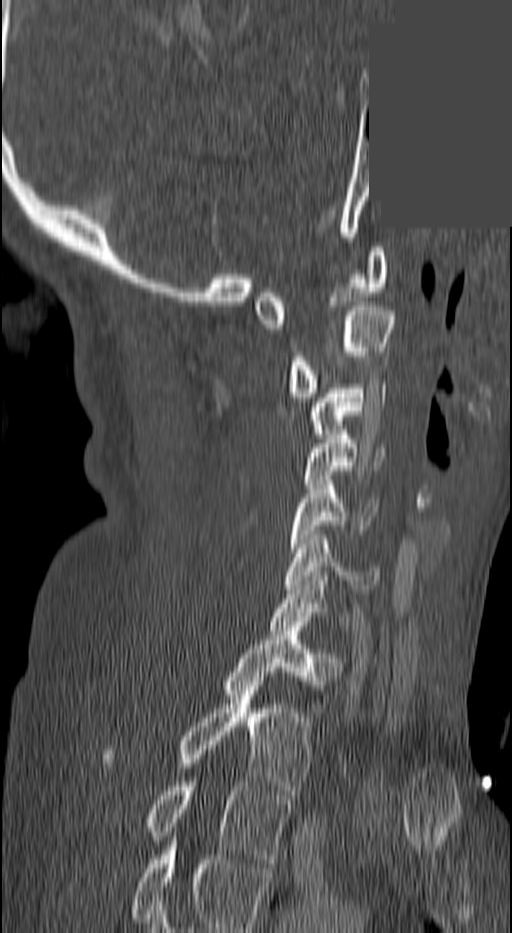
CT — sagittal view — 140 mm image width — 512x933 px — part of the image is a flat gray fill, not anatomy
In the table, x1 and y1 are a box's top-left corner and x2 and y2 its bottom-right corner, in pixels.
The highest labeled vertebra in this scan is C1; the lowest is T3.
| vertebra | x1 | y1 | x2 | y2 |
|---|---|---|---|---|
| C1 | 254 | 247 | 388 | 328 |
| C2 | 287 | 302 | 395 | 397 |
| C3 | 312 | 384 | 384 | 433 |
| C4 | 302 | 434 | 385 | 484 |
| C5 | 287 | 480 | 376 | 552 |
| C6 | 283 | 535 | 379 | 593 |
| C7 | 268 | 576 | 349 | 630 |
| T1 | 221 | 631 | 340 | 717 |
| T2 | 100 | 681 | 311 | 794 |
| T3 | 144 | 782 | 289 | 863 |